Computed tomography of the spine · sagittal view · bone window · 250x671 px
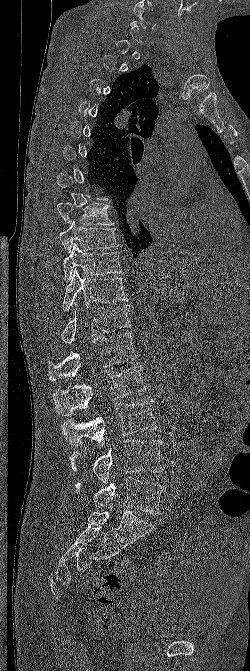

Boxes are given in columns x1, y1, x2, y2, the pixel coordinates of their top-left and bottom-right corners.
A vertebra gets a box only on the slices from the first to the last where its cross-section is at least a third of its largest; on a slice outside that range it gets none.
| vertebra | x1 | y1 | x2 | y2 |
|---|---|---|---|---|
| T8 | 57 | 202 | 114 | 225 |
| T9 | 59 | 220 | 121 | 253 |
| T10 | 63 | 243 | 121 | 282 |
| T11 | 62 | 268 | 127 | 311 |
| T12 | 61 | 303 | 131 | 344 |
| L1 | 48 | 332 | 137 | 380 |
| L2 | 52 | 366 | 146 | 415 |
| L3 | 61 | 398 | 157 | 447 |
| L4 | 69 | 439 | 163 | 483 |
| L5 | 75 | 476 | 165 | 514 |